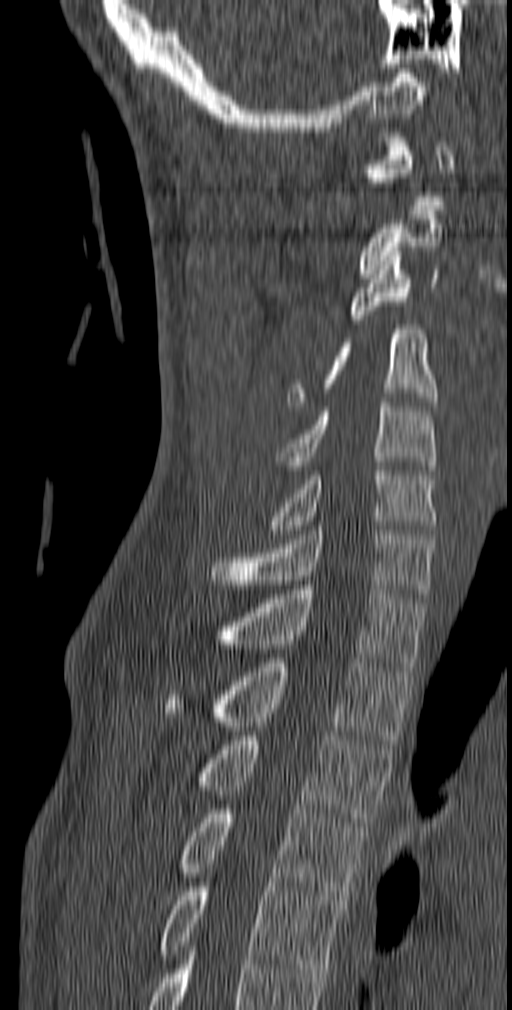

Spine CT; sagittal view
Each row gives a vertebra's box as x1, y1, x2, y2 in pixels: top-left corner, then bottom-right corner.
| vertebra | x1 | y1 | x2 | y2 |
|---|---|---|---|---|
| C1 | 364 | 133 | 454 | 205 |
| C2 | 359 | 210 | 442 | 278 |
| C3 | 349 | 251 | 439 | 324 |
| C4 | 287 | 325 | 438 | 410 |
| C5 | 275 | 402 | 436 | 474 |
| C6 | 270 | 466 | 436 | 534 |
| C7 | 211 | 526 | 436 | 598 |
| T1 | 215 | 585 | 425 | 671 |
| T2 | 164 | 658 | 412 | 744 |
| T3 | 199 | 736 | 393 | 826 |
| T4 | 180 | 809 | 367 | 900 |
| T5 | 159 | 882 | 344 | 973 |